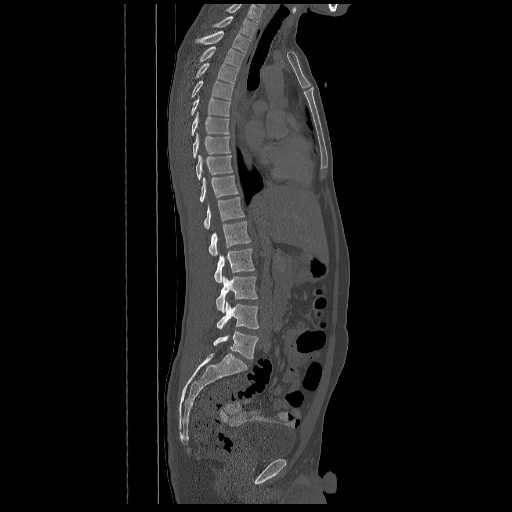
Spine CT — sagittal reformat — W/L 1800/400 HU — 512x512 px
Box values are [left, top, right, bottom] in pixels.
Labels in this scan begin with T2 at the top and end with L5 at the bottom.
{"vertebrae":{"L5":[213,331,258,359],"L4":[216,301,259,330],"L3":[216,276,257,312],"L2":[214,248,254,282],"L1":[209,221,250,256],"T12":[203,197,244,229],"T11":[200,175,238,202],"T10":[196,155,233,180],"T9":[193,132,230,157],"T8":[191,112,229,135],"T7":[190,96,231,115],"T6":[189,80,234,99],"T5":[195,63,238,83],"T4":[199,46,243,67],"T3":[195,30,250,53],"T2":[212,16,256,38]}}